CT spine. sagittal view. 187x269 px. scan covers 7 annotated vertebrae
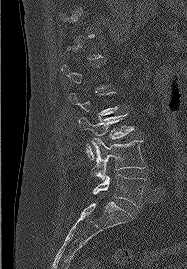 Not every vertebra on this slice has a box: a vertebra is boxed only from the first to the last slice where its cross-section is at least a third of its largest, and this slice is outside that range for at least one of them.
<vertebrae><v name="L3" x1="79" y1="114" x2="133" y2="159"/><v name="L4" x1="91" y1="138" x2="145" y2="180"/><v name="L5" x1="93" y1="174" x2="145" y2="206"/></vertebrae>